Computed tomography of the spine. sagittal view. W/L 1800/400 HU. 512x634 px. 373 mm wide
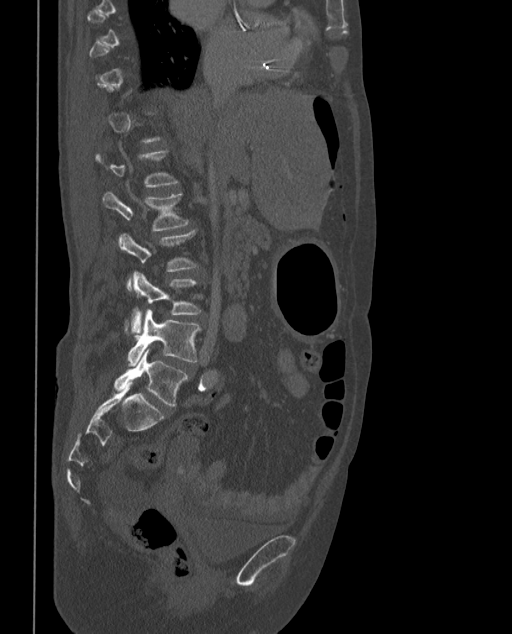

Coordinates as <box>x1,y1,x2,y2</box>. A vertebra gets a box only on the slices from the first to the last where its cross-section is at least a third of its largest; on a slice outside that range it gets none. In these labels the spine has an L6, a sixth lumbar vertebra below L5. The labeled vertebrae in this slice are: L6 at <box>114,350,188,407</box>, L5 at <box>127,310,201,365</box>, L4 at <box>127,272,201,334</box>, L3 at <box>118,230,198,289</box>, L2 at <box>103,191,190,231</box>, L1 at <box>95,151,179,187</box>.